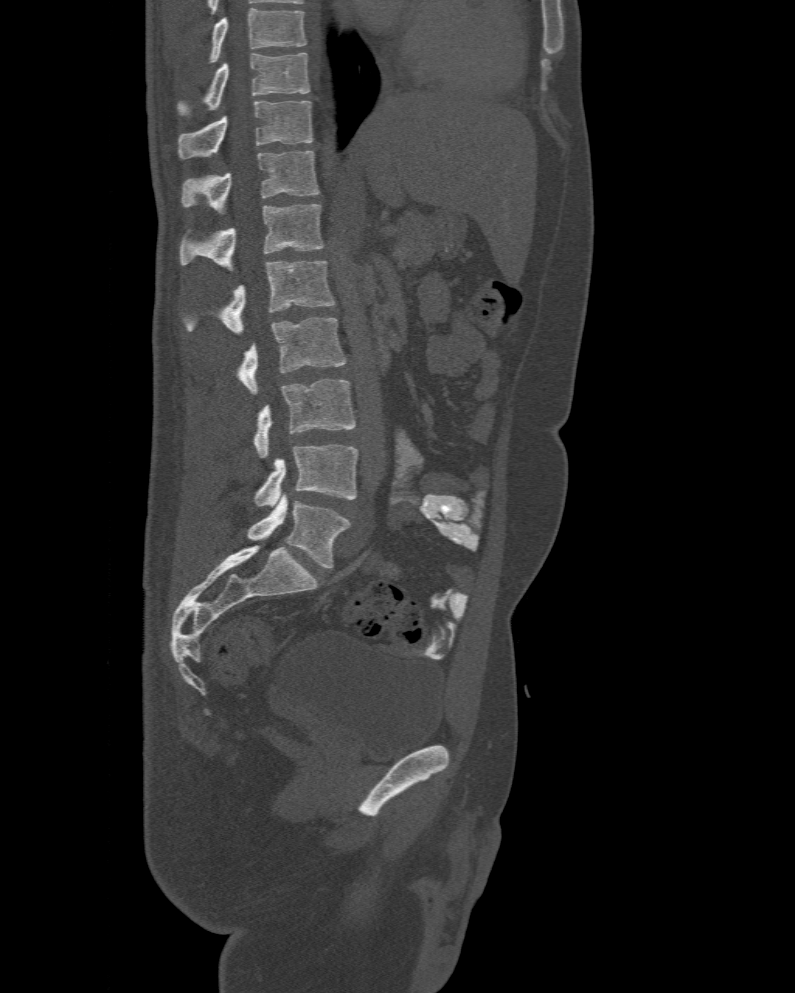
Spine computed tomography — the image is 477 mm wide — sagittal view — W/L 1800/400 HU — 795x993 px

Boxes: x1 y1 x2 y2 (pixel coords, space-separated).
In this scan, the topmost labeled vertebra is T10 and the lowest is L6.
The labels name a sixth lumbar vertebra for this spine: L6, after L5.
T10: 179 53 310 114
T11: 179 100 313 159
T12: 182 150 319 212
L1: 179 203 324 270
L2: 183 260 336 334
L3: 236 317 345 394
L4: 253 378 356 457
L5: 253 445 358 506
L6: 247 495 350 567